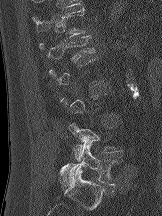 Computed tomography of the spine — sagittal view — bone-window reconstruction — 162x216 px — 162 mm across the image
Box edges are left/top/right/bottom in pixels.
Each vertebra is boxed only on the slices from the first to the last where its cross-section reaches a third of its largest, so a slice outside that range leaves it unboxed.
| vertebra | x1 | y1 | x2 | y2 |
|---|---|---|---|---|
| T12 | 32 | 8 | 84 | 37 |
| L1 | 39 | 35 | 95 | 61 |
| L4 | 69 | 123 | 122 | 161 |
| L5 | 59 | 142 | 118 | 188 |